Spine CT · sagittal view · 512x548 px
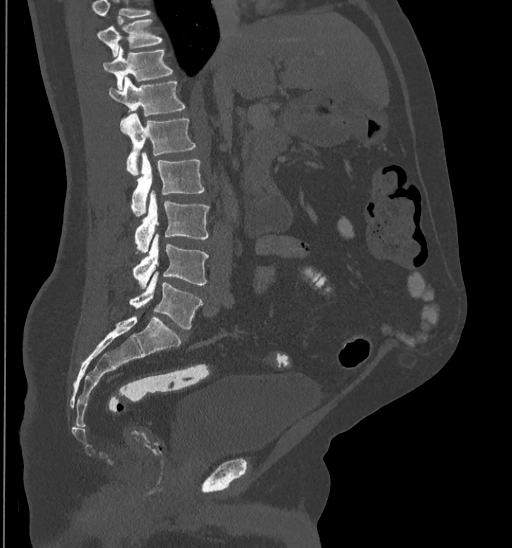
In the table, x1 and y1 are a box's top-left corner and x2 and y2 its bottom-right corner, in pixels.
No box is given to a vertebra that the top edge of the scan cuts off.
| vertebra | x1 | y1 | x2 | y2 |
|---|---|---|---|---|
| T10 | 98 | 19 | 163 | 57 |
| T11 | 102 | 47 | 173 | 90 |
| T12 | 109 | 76 | 185 | 116 |
| L1 | 120 | 113 | 195 | 176 |
| L2 | 131 | 153 | 204 | 216 |
| L3 | 134 | 191 | 208 | 252 |
| L4 | 133 | 233 | 208 | 288 |
| L5 | 129 | 271 | 201 | 330 |